Spine computed tomography. Sagittal slice 205/350. W/L 1800/400 HU. scan covers 5 annotated vertebrae
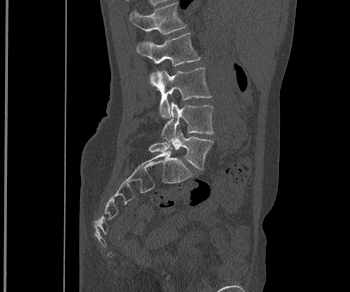
Boxes are (x1, y1, x2, y2) in pixels.
L1: (129, 3, 186, 34)
L2: (136, 33, 200, 86)
L3: (156, 67, 211, 117)
L4: (161, 101, 213, 141)
L5: (149, 130, 213, 169)